Spine CT · sagittal plane, index 337 · bone window · 512x963 px
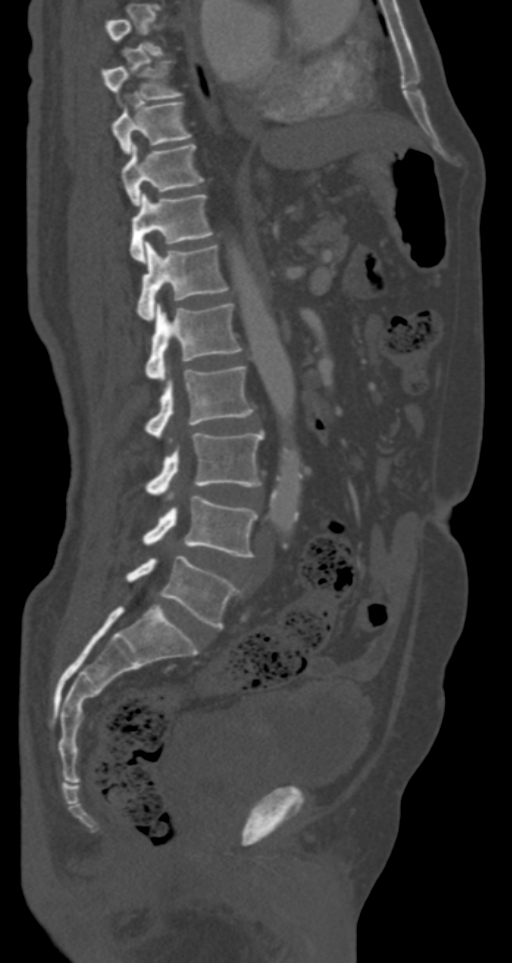
Not every vertebra on this slice has a box: a vertebra is boxed only from the first to the last slice where its cross-section is at least a third of its largest, and this slice is outside that range for at least one of them.
<vertebrae><v name="T8" x1="101" y1="62" x2="181" y2="99"/><v name="T9" x1="110" y1="101" x2="189" y2="154"/><v name="T10" x1="121" y1="144" x2="204" y2="204"/><v name="T11" x1="130" y1="192" x2="213" y2="262"/><v name="T12" x1="137" y1="242" x2="229" y2="320"/><v name="L1" x1="146" y1="303" x2="241" y2="380"/><v name="L2" x1="146" y1="366" x2="254" y2="441"/><v name="L3" x1="146" y1="431" x2="263" y2="499"/><v name="L4" x1="142" y1="496" x2="257" y2="557"/><v name="L5" x1="126" y1="554" x2="241" y2="628"/></vertebrae>